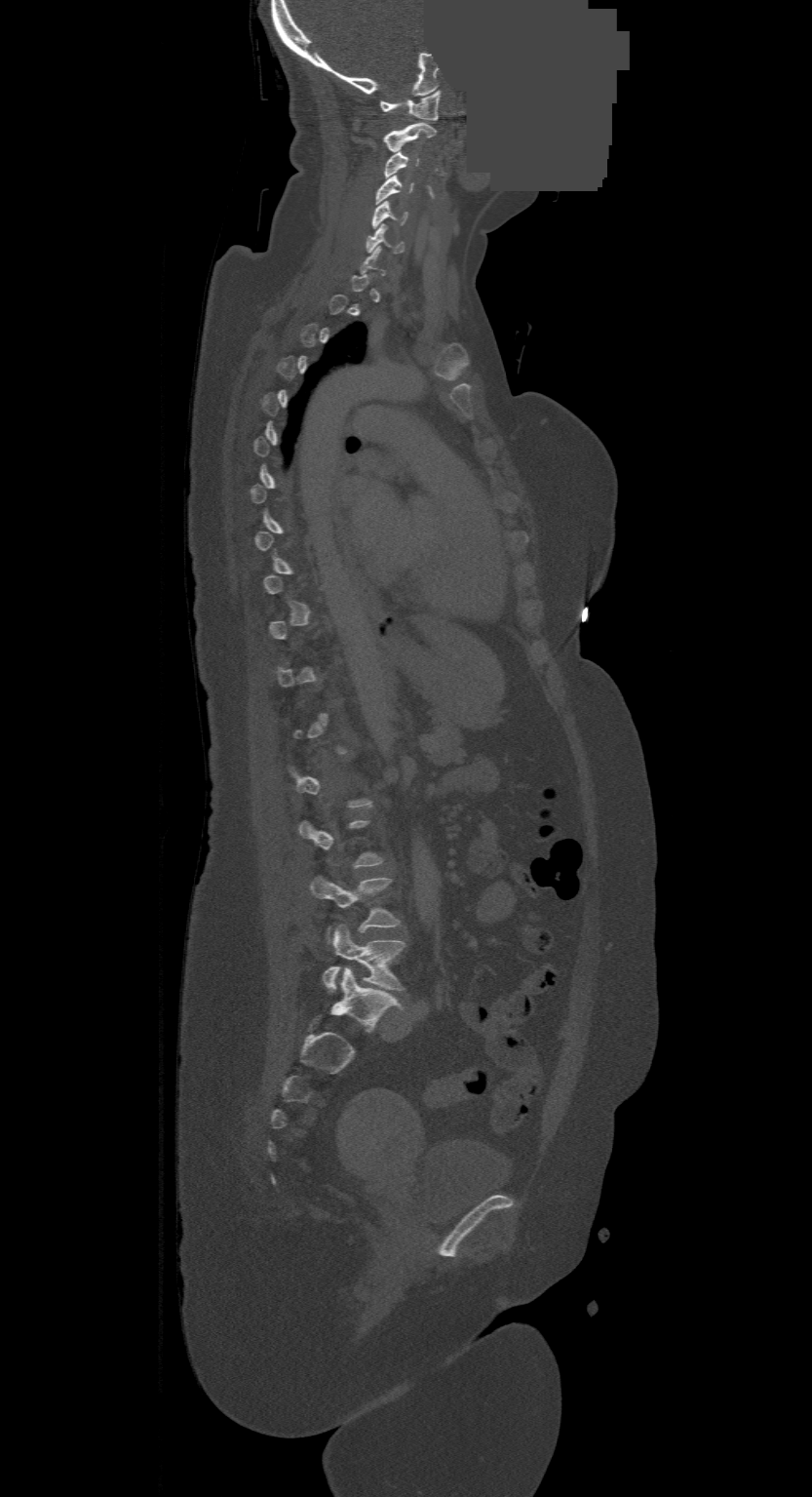 CT. sagittal view. W/L 1800/400 HU. 500 mm across the image. part of the image has been replaced by a constant value
Coordinates as <box>x1,y1,x2,y2</box>. A vertebra gets a box only on the slices from the first to the last where its cross-section is at least a third of its largest; on a slice outside that range it gets none. Labels in this scan begin with C1 at the top and end with L4 at the bottom. The labeled vertebrae in this slice are: C1 at <box>381,90,440,120</box>, C2 at <box>384,122,436,150</box>, C3 at <box>384,150,418,177</box>, C4 at <box>376,176,413,204</box>, C5 at <box>371,200,408,228</box>, C6 at <box>365,223,404,253</box>, L3 at <box>311,877,401,930</box>, L4 at <box>322,926,404,993</box>.